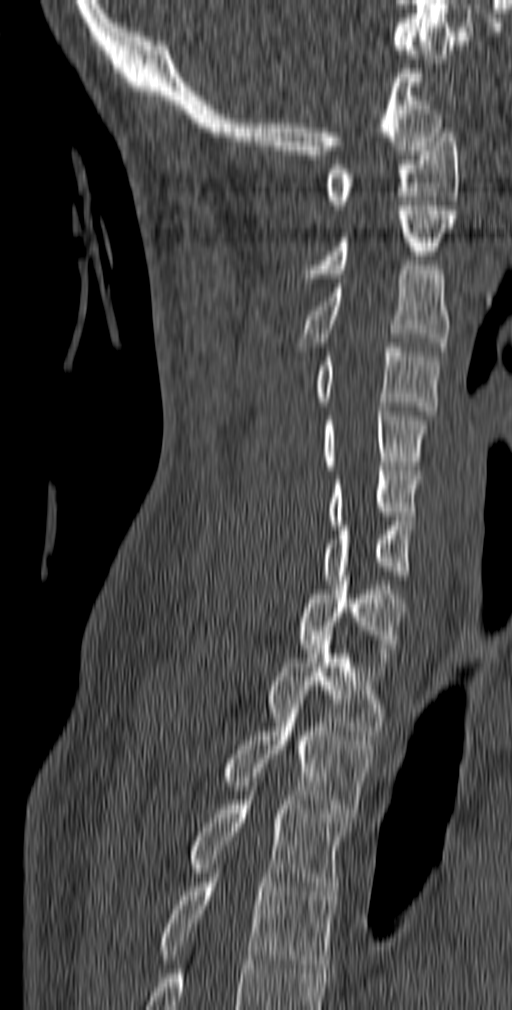 CT · sagittal view · 512x1010 px
Each box given as x1,y1,x2,y2. 12 vertebrae labeled — C1 at x1=323, y1=128, x2=459, y2=209; C2 at x1=304, y1=206, x2=456, y2=278; C3 at x1=297, y1=265, x2=450, y2=356; C4 at x1=316, y1=343, x2=439, y2=415; C5 at x1=323, y1=407, x2=428, y2=470; C6 at x1=328, y1=466, x2=421, y2=525; C7 at x1=323, y1=521, x2=414, y2=584; T1 at x1=295, y1=576, x2=406, y2=666; T2 at x1=268, y1=631, x2=386, y2=740; T3 at x1=224, y1=709, x2=373, y2=817; T4 at x1=191, y1=777, x2=348, y2=900; T5 at x1=159, y1=873, x2=339, y2=973.